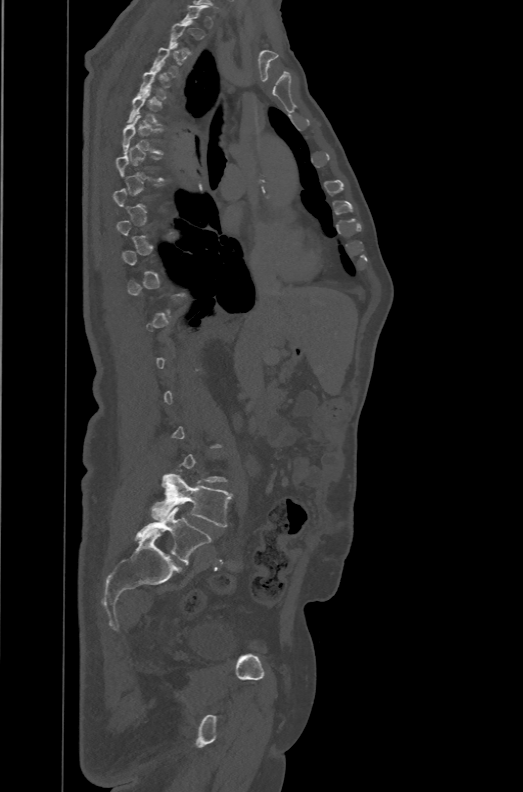 Computed tomography of the spine · sagittal reformat · bone window · 523x792 px
Each vertebra is boxed only on the slices from the first to the last where its cross-section reaches a third of its largest, so a slice outside that range leaves it unboxed.
The labels name a sixth lumbar vertebra for this spine: L6, after L5.
<vertebrae><v name="T6" x1="123" y1="115" x2="163" y2="153"/><v name="L5" x1="151" y1="470" x2="232" y2="527"/><v name="L6" x1="135" y1="507" x2="212" y2="564"/></vertebrae>